CT, spine; Sagittal slice 275/512; image width 399 mm
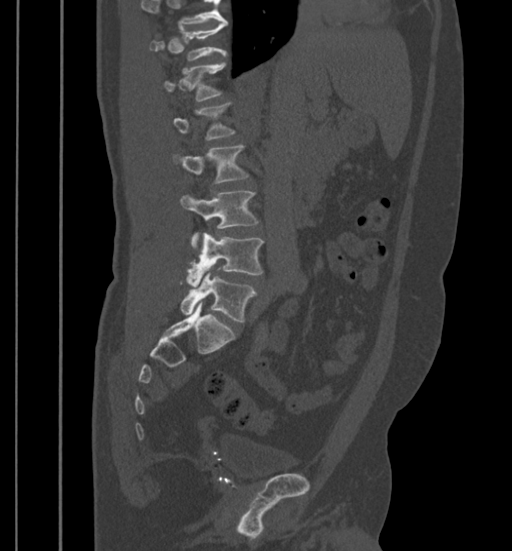
Where the top of the scan cuts through a vertebra, that vertebra gets no label or box.
<vertebrae><v name="T11" x1="150" y1="24" x2="227" y2="61"/><v name="T12" x1="163" y1="63" x2="225" y2="102"/><v name="L1" x1="173" y1="103" x2="235" y2="140"/><v name="L2" x1="172" y1="145" x2="249" y2="184"/><v name="L3" x1="181" y1="191" x2="258" y2="251"/><v name="L4" x1="188" y1="233" x2="263" y2="284"/><v name="L5" x1="181" y1="270" x2="257" y2="322"/></vertebrae>